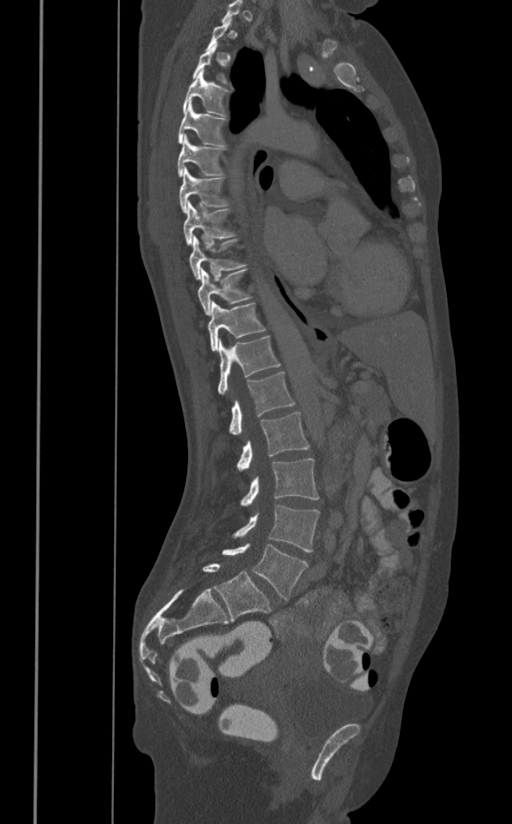

CT spine · sagittal view · bone window
Each row gives a vertebra's box as x1, y1, x2, y2 in pixels: top-left corner, then bottom-right corner.
A vertebra gets a box only on the slices from the first to the last where its cross-section is at least a third of its largest; on a slice outside that range it gets none.
| vertebra | x1 | y1 | x2 | y2 |
|---|---|---|---|---|
| T4 | 183 | 70 | 228 | 116 |
| T5 | 178 | 99 | 224 | 146 |
| T6 | 177 | 134 | 221 | 177 |
| T7 | 179 | 166 | 228 | 212 |
| T8 | 183 | 202 | 233 | 244 |
| T9 | 188 | 236 | 245 | 278 |
| T10 | 198 | 269 | 252 | 315 |
| T11 | 207 | 302 | 265 | 350 |
| T12 | 217 | 337 | 280 | 395 |
| L1 | 229 | 372 | 295 | 435 |
| L2 | 237 | 411 | 309 | 470 |
| L3 | 241 | 458 | 318 | 506 |
| L4 | 231 | 504 | 320 | 552 |
| L5 | 222 | 543 | 308 | 599 |